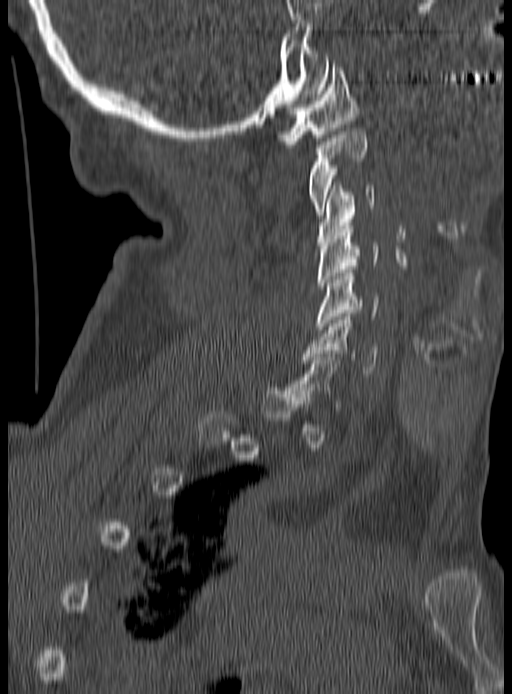
Computed tomography of the spine — sagittal reformat — 190 mm image width — 512x694 px. Box edges are left/top/right/bottom in pixels.
Each vertebra is boxed only on the slices from the first to the last where its cross-section reaches a third of its largest, so a slice outside that range leaves it unboxed.
C1: left=278, top=64, right=358, bottom=147
C2: left=308, top=131, right=366, bottom=215
C3: left=317, top=182, right=374, bottom=245
C4: left=317, top=222, right=380, bottom=289
C5: left=316, top=273, right=378, bottom=329
C6: left=303, top=317, right=378, bottom=376